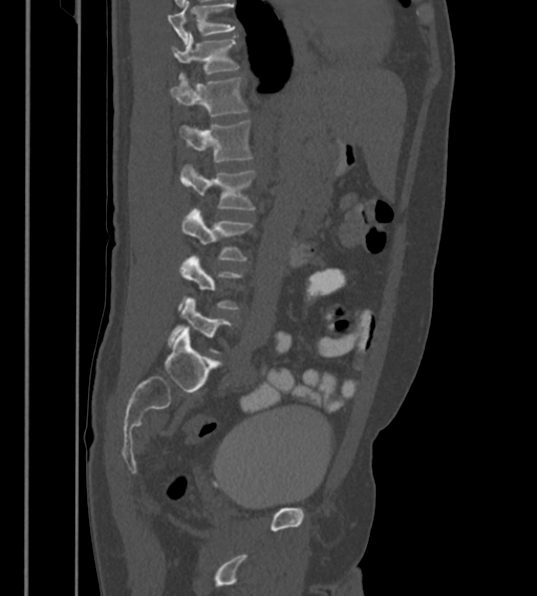 Spine computed tomography. sagittal view
This scan's labels start at T12 at the top and end at L6 at the bottom.
The labels name a sixth lumbar vertebra for this spine: L6, after L5.
<vertebrae><v name="L6" x1="168" y1="297" x2="232" y2="353"/><v name="L5" x1="180" y1="256" x2="240" y2="309"/><v name="L4" x1="181" y1="210" x2="253" y2="260"/><v name="L3" x1="180" y1="164" x2="255" y2="209"/><v name="L2" x1="178" y1="120" x2="253" y2="161"/><v name="L1" x1="170" y1="74" x2="248" y2="116"/><v name="T12" x1="171" y1="32" x2="238" y2="74"/></vertebrae>